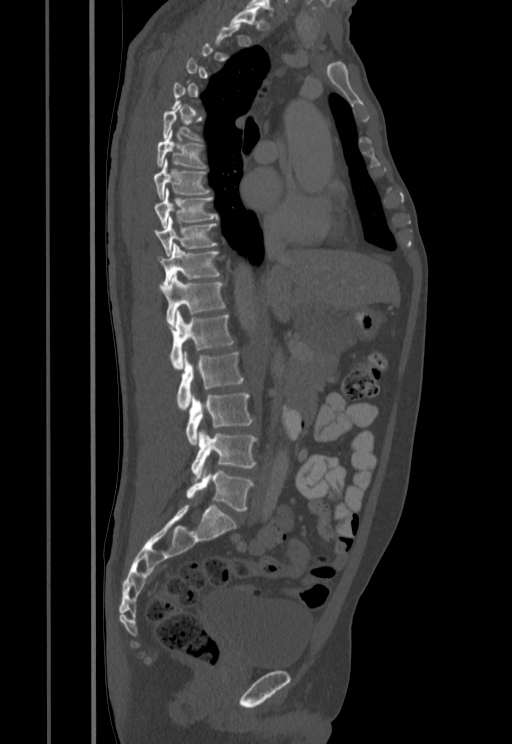
Computed tomography of the spine — sagittal view — bone window
Each vertebra maps to its box as [x1, y1, x2, y2], the pixel coordinates of its top-left and bottom-right corners.
A vertebra gets a box only on the slices from the first to the last where its cross-section is at least a third of its largest; on a slice outside that range it gets none.
{"vertebrae":{"L5":[187,471,253,511],"L4":[191,430,257,477],"L3":[186,392,253,445],"L2":[177,352,243,410],"L1":[167,311,233,369],"T12":[160,274,225,325],"T11":[159,243,219,286],"T10":[155,217,217,256],"T9":[155,188,217,228],"T8":[154,158,210,199],"T7":[156,129,207,168],"T6":[163,103,203,141]}}